CT, spine · 171 mm image width · sagittal view
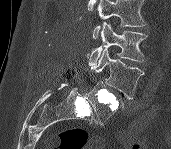

Boxes: x1:y1:x2:y2 in pixels. Where the top of the scan cuts through a vertebra, that vertebra gets no label or box. 3 vertebrae labeled — L3 at 87:22:147:66; L4 at 90:48:144:99; L5 at 85:81:123:125.